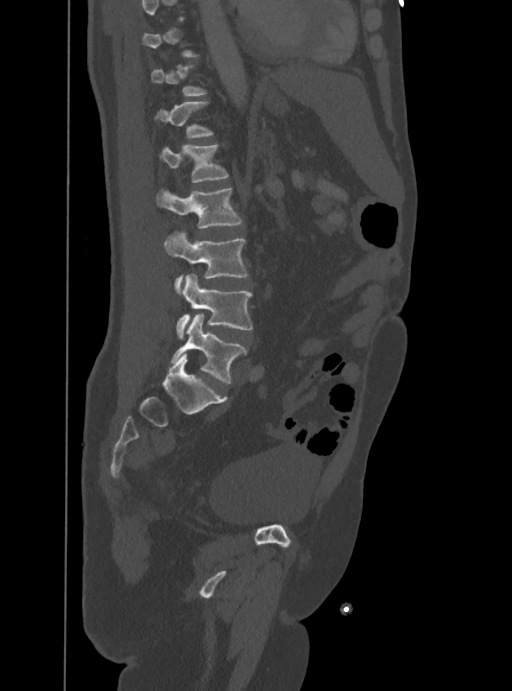 CT, spine — sagittal view — image 388 mm wide — W/L 1800/400 HU
Not every vertebra on this slice has a box: a vertebra is boxed only from the first to the last slice where its cross-section is at least a third of its largest, and this slice is outside that range for at least one of them.
<vertebrae><v name="T12" x1="154" y1="101" x2="213" y2="138"/><v name="L1" x1="160" y1="145" x2="228" y2="182"/><v name="L2" x1="156" y1="189" x2="242" y2="228"/><v name="L3" x1="163" y1="230" x2="247" y2="294"/><v name="L4" x1="177" y1="274" x2="252" y2="337"/><v name="L5" x1="171" y1="314" x2="246" y2="383"/></vertebrae>